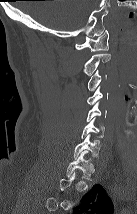
CT. sagittal view
Boxes: x1:y1:x2:y2 in pixels.
Not every vertebra on this slice has a box: a vertebra is boxed only from the first to the last slice where its cross-section is at least a third of its largest, and this slice is outside that range for at least one of them.
Vertebra bounding boxes:
- C1: 75:30:108:51
- C2: 83:54:110:75
- C3: 88:69:107:91
- C4: 87:86:107:105
- C5: 87:102:107:121
- C6: 81:117:105:138
- C7: 74:133:100:159
- T1: 66:150:94:180